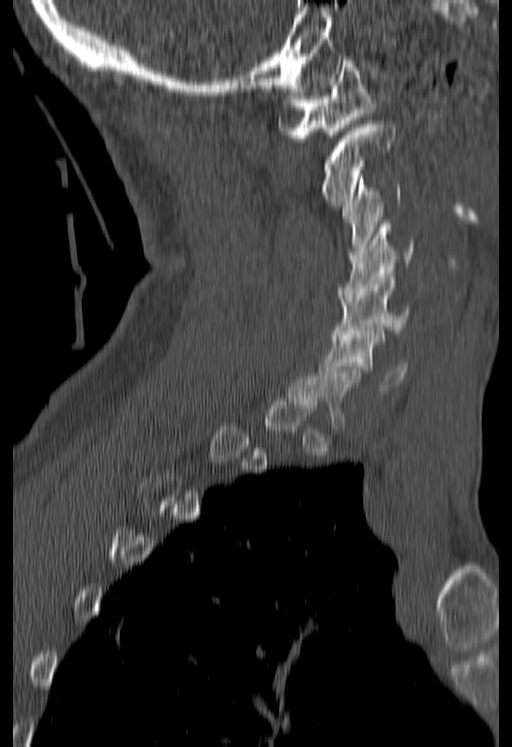
CT, spine; sagittal view; image 180 mm wide; Bone window (WL 400, WW 1800)

Columns x1, y1, x2, y2 give each box's top-left and bottom-right pixels.
A vertebra is boxed only from the first to the last slice where its cross-section is at least a third of its largest; slices outside that range leave it without a box.
| vertebra | x1 | y1 | x2 | y2 |
|---|---|---|---|---|
| C6 | 319 | 331 | 407 | 390 |
| C5 | 332 | 274 | 415 | 340 |
| C4 | 339 | 224 | 415 | 298 |
| C3 | 342 | 174 | 401 | 255 |
| C2 | 322 | 121 | 395 | 205 |
| C1 | 280 | 57 | 373 | 141 |